CT, spine · sagittal plane, index 219 · bone window · 512x780 px · scan covers 10 annotated vertebrae
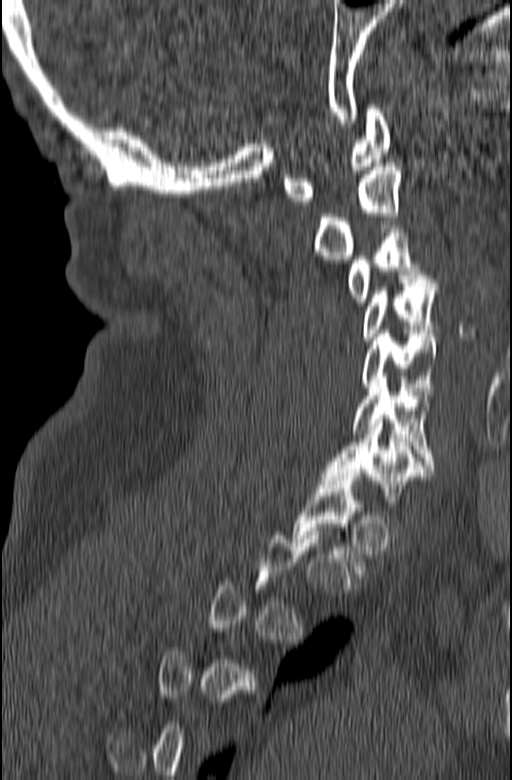

A vertebra gets a box only on the slices from the first to the last where its cross-section is at least a third of its largest; on a slice outside that range it gets none.
<vertebrae><v name="C1" x1="283" y1="105" x2="391" y2="205"/><v name="C2" x1="314" y1="163" x2="400" y2="259"/><v name="C3" x1="348" y1="225" x2="426" y2="305"/><v name="C4" x1="361" y1="275" x2="437" y2="340"/><v name="C5" x1="361" y1="330" x2="438" y2="391"/><v name="C6" x1="352" y1="376" x2="434" y2="468"/><v name="C7" x1="321" y1="419" x2="434" y2="507"/></vertebrae>